Computed tomography of the spine — sagittal view — Bone window (WL 400, WW 1800)
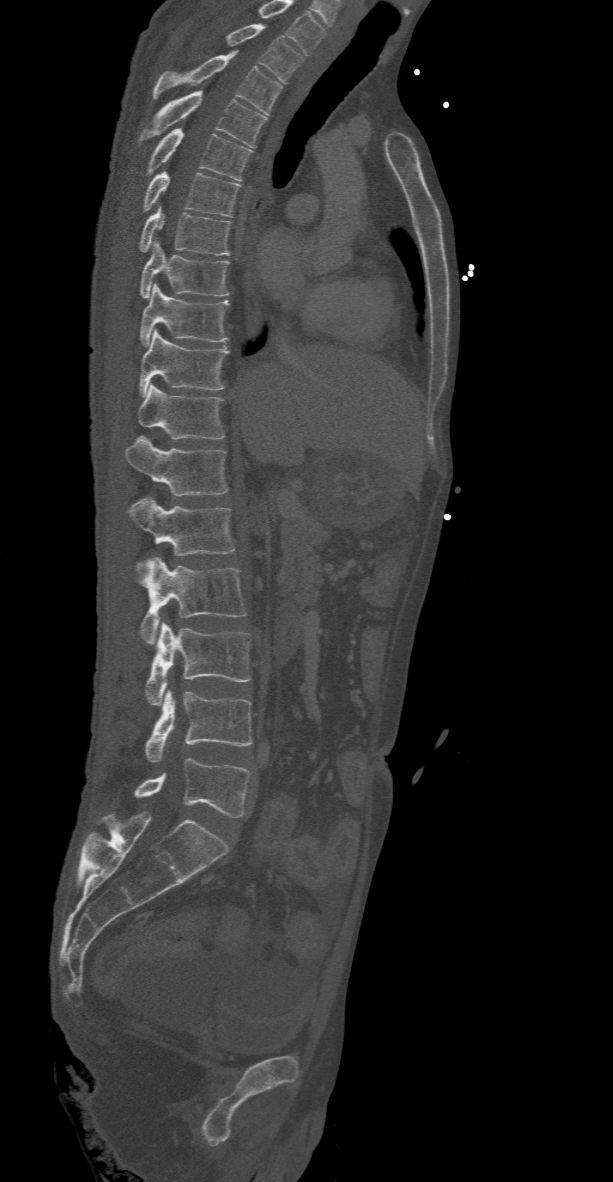 Boxes are given in columns x1, y1, x2, y2, the pixel coordinates of their top-left and bottom-right corners.
This scan's labels start at T2 at the top and end at L5 at the bottom.
| vertebra | x1 | y1 | x2 | y2 |
|---|---|---|---|---|
| L5 | 133 | 757 | 251 | 818 |
| L4 | 145 | 689 | 252 | 761 |
| L3 | 145 | 622 | 251 | 705 |
| L2 | 140 | 557 | 247 | 645 |
| L1 | 128 | 497 | 235 | 569 |
| T12 | 125 | 436 | 229 | 495 |
| T11 | 138 | 384 | 225 | 438 |
| T10 | 139 | 329 | 229 | 397 |
| T9 | 140 | 284 | 229 | 345 |
| T8 | 140 | 242 | 230 | 298 |
| T7 | 138 | 207 | 230 | 255 |
| T6 | 141 | 171 | 241 | 216 |
| T5 | 143 | 129 | 252 | 180 |
| T4 | 137 | 91 | 267 | 146 |
| T3 | 153 | 51 | 282 | 113 |
| T2 | 226 | 24 | 302 | 83 |